Computed tomography of the spine — sagittal reformat — image width 399 mm — Bone window (WL 400, WW 1800)
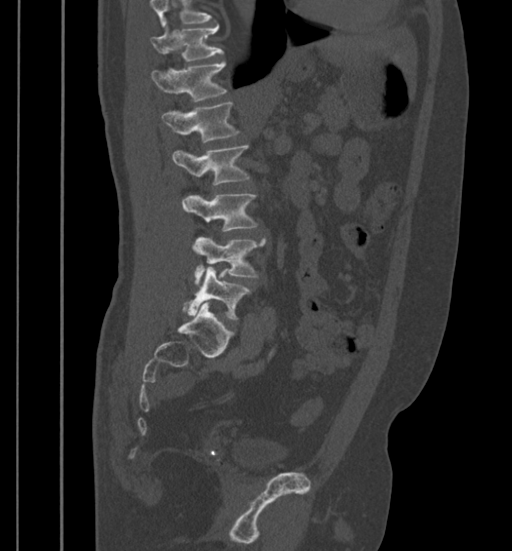

Each box is [x1, y1, x2, y2] in pixels: top-left corner, then bottom-right corner.
Where the top of the scan cuts through a vertebra, that vertebra gets no label or box.
{"vertebrae":{"T11":[151,26,223,61],"T12":[151,62,226,102],"L1":[162,101,239,143],"L2":[172,145,249,185],"L3":[182,193,257,231],"L4":[192,237,266,284],"L5":[188,267,250,319]}}